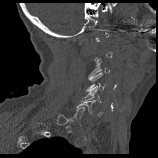 Spine CT · sagittal view · bone window · 158x158 px

In the table, x1 and y1 are a box's top-left corner and x2 and y2 its bottom-right corner, in pixels.
Not every vertebra on this slice has a box: a vertebra is boxed only from the first to the last slice where its cross-section is at least a third of its largest, and this slice is outside that range for at least one of them.
| vertebra | x1 | y1 | x2 | y2 |
|---|---|---|---|---|
| C3 | 87 | 58 | 110 | 79 |
| C5 | 81 | 86 | 102 | 102 |
| C6 | 76 | 100 | 103 | 116 |